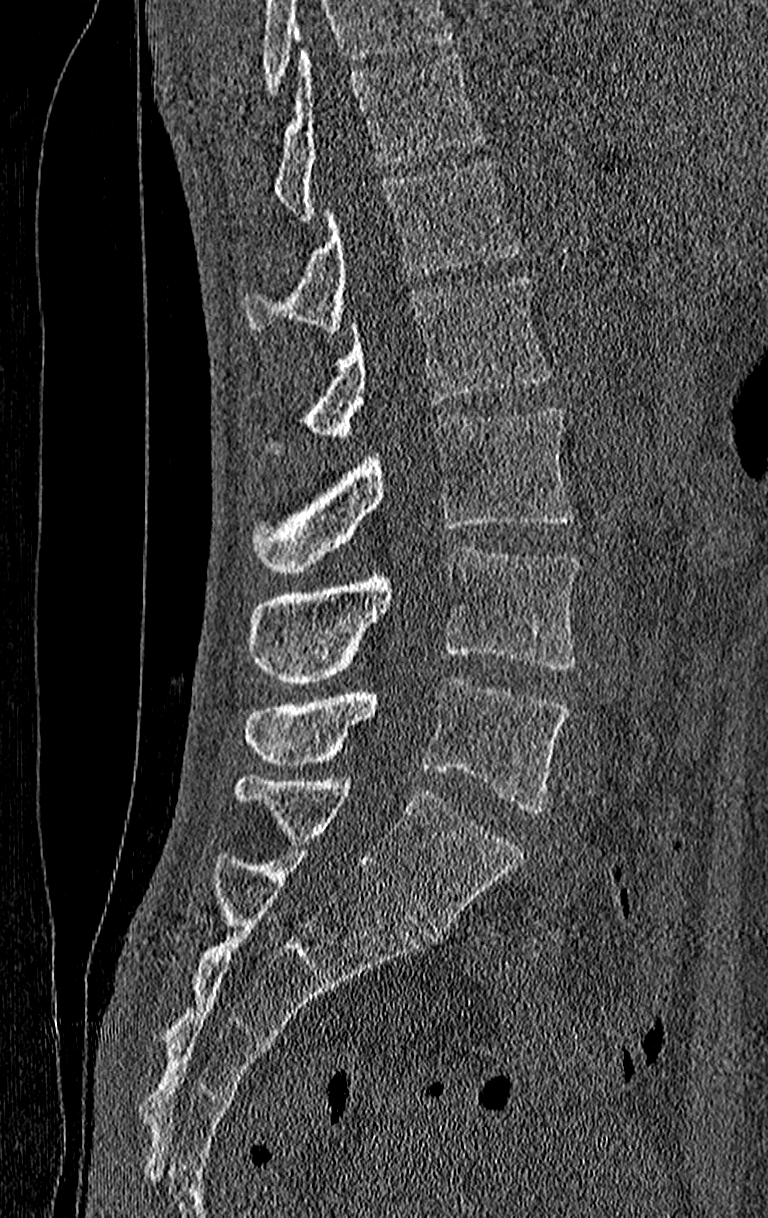

CT, spine. 210 mm wide. sagittal view. Bone window (WL 400, WW 1800)
No box is given to a vertebra that the top edge of the scan cuts off.
The highest labeled vertebra in this scan is T11; the lowest is L4.
<vertebrae><v name="L4" x1="244" y1="678" x2="568" y2="812"/><v name="L3" x1="247" y1="546" x2="579" y2="684"/><v name="L2" x1="251" y1="406" x2="572" y2="573"/><v name="L1" x1="269" y1="278" x2="550" y2="453"/><v name="T12" x1="244" y1="158" x2="521" y2="333"/><v name="T11" x1="273" y1="48" x2="480" y2="220"/></vertebrae>